CT spine; the image is 256 mm wide; sagittal plane, index 33; bone window
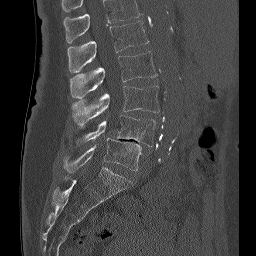 The highest labeled vertebra in this scan is L1; the lowest is L5.
<vertebrae><v name="L1" x1="67" y1="21" x2="148" y2="72"/><v name="L2" x1="70" y1="51" x2="157" y2="98"/><v name="L3" x1="72" y1="85" x2="159" y2="127"/><v name="L4" x1="76" y1="115" x2="155" y2="146"/><v name="L5" x1="63" y1="138" x2="141" y2="171"/></vertebrae>